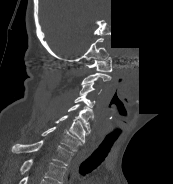

Spine CT; sagittal view; Bone window (WL 400, WW 1800); 173x184 px; 173 mm image width; a region of this slice is masked with a uniform fill
Boxes: x1:y1:x2:y2 in pixels.
Labels in this scan begin with C1 at the top and end with T1 at the bottom.
Vertebra bounding boxes:
- C1: 86:57:111:71
- C2: 81:73:111:84
- C3: 79:83:101:95
- C4: 74:94:95:107
- C5: 68:104:93:131
- C6: 54:115:89:144
- C7: 41:126:81:151
- T1: 11:140:73:165